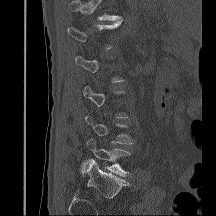 CT · sagittal reformat · Bone window (WL 400, WW 1800)

Boxes below are [x1, y1, x2, y2] in pixels.
Not every vertebra on this slice has a box: a vertebra is boxed only from the first to the last slice where its cross-section is at least a third of its largest, and this slice is outside that range for at least one of them.
Vertebrae that run past the top of the scan are left unlabeled.
{"vertebrae":{"L1":[68,20,122,49],"L4":[85,115,134,144],"L5":[82,138,130,176]}}